Spine CT · sagittal plane, index 272 · Bone window (WL 400, WW 1800) · scan covers 9 annotated vertebrae
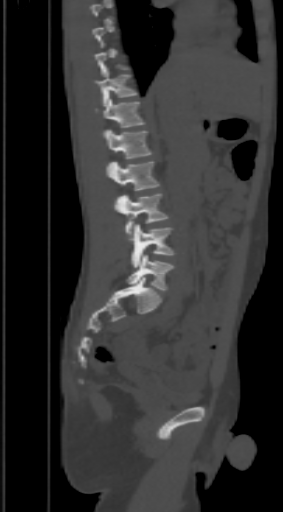

Boxes: x1:y1:x2:y2 in pixels.
Not every vertebra on this slice has a box: a vertebra is boxed only from the first to the last slice where its cross-section is at least a third of its largest, and this slice is outside that range for at least one of them.
T11: 92:68:136:106
T12: 95:98:145:127
L1: 106:129:150:158
L2: 106:161:159:191
L3: 115:194:167:234
L4: 132:224:175:267
L5: 126:254:173:290